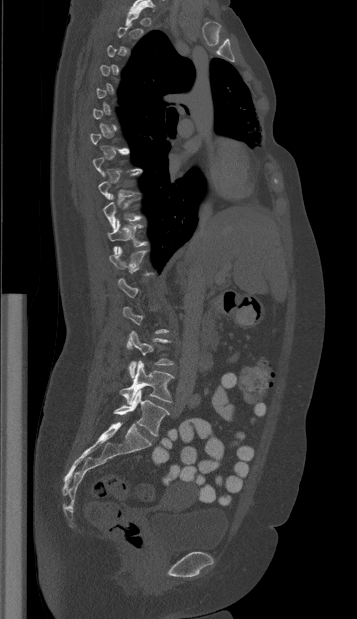

CT spine — sagittal view — the image is 357 mm wide — 357x619 px. Box edges are left/top/right/bottom in pixels.
Not every vertebra on this slice has a box: a vertebra is boxed only from the first to the last slice where its cross-section is at least a third of its largest, and this slice is outside that range for at least one of them.
| vertebra | x1 | y1 | x2 | y2 |
|---|---|---|---|---|
| T10 | 103 | 195 | 141 | 229 |
| T11 | 107 | 220 | 146 | 254 |
| L3 | 127 | 331 | 173 | 378 |
| L4 | 120 | 361 | 173 | 402 |
| L5 | 113 | 390 | 169 | 436 |